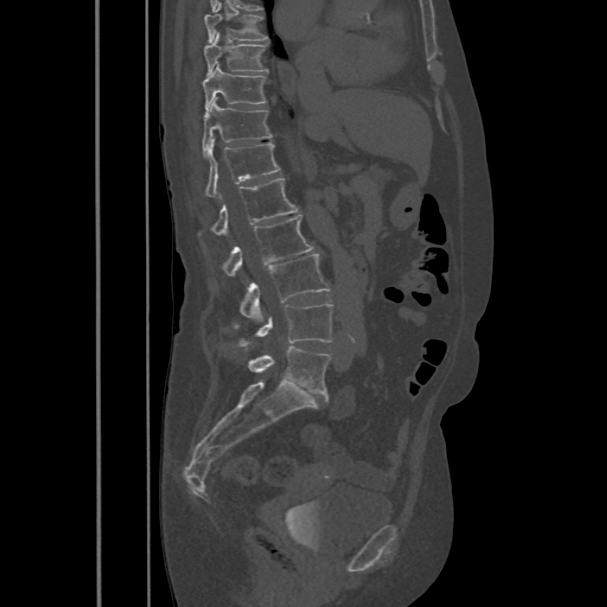

Spine computed tomography · sagittal reformat · Bone window (WL 400, WW 1800) · 607x607 px

Box values are [left, top, right, bottom] in pixels.
Labels in this scan begin with T8 at the top and end with L5 at the bottom.
{"vertebrae":{"T8":[204,13,268,41],"T9":[204,32,268,75],"T10":[202,63,265,111],"T11":[203,97,272,152],"T12":[205,139,280,196],"L1":[212,177,299,236],"L2":[223,215,315,276],"L3":[234,255,330,326],"L4":[242,303,332,345],"L5":[249,346,330,395]}}